CT — sagittal plane, index 92 — the image is 204 mm wide
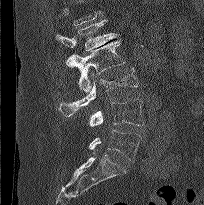
Where the top of the scan cuts through a vertebra, that vertebra gets no label or box.
<vertebrae><v name="L1" x1="56" y1="20" x2="119" y2="67"/><v name="L2" x1="66" y1="39" x2="124" y2="93"/><v name="L3" x1="58" y1="68" x2="138" y2="116"/><v name="L4" x1="88" y1="99" x2="144" y2="126"/><v name="L5" x1="88" y1="129" x2="141" y2="161"/></vertebrae>